Spine CT. Sagittal slice 272/512. 165 mm across the image
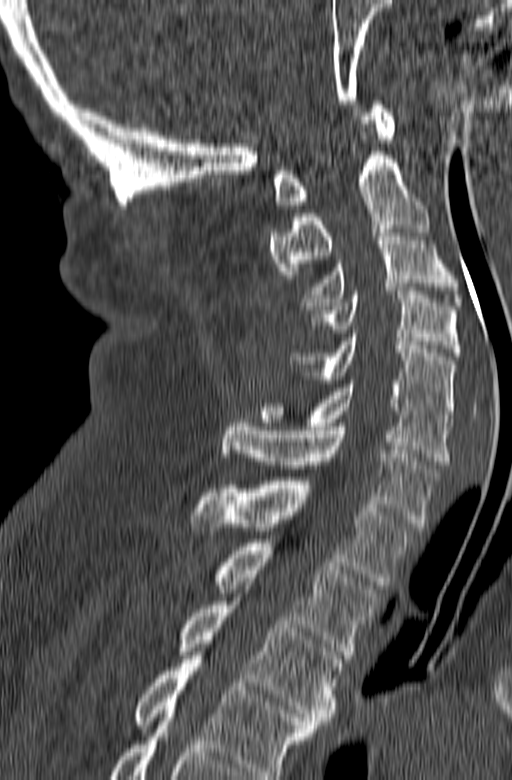 Box edges are left/top/right/bottom in pixels. The highest labeled vertebra in this scan is C1; the lowest is T3. The labeled vertebrae in this slice are: T3 at left=177, top=597, right=344, bottom=728, T2 at left=212, top=539, right=379, bottom=658, T1 at left=187, top=477, right=416, bottom=585, C7 at left=221, top=419, right=438, bottom=527, C6 at left=260, top=380, right=452, bottom=464, C5 at left=290, top=334, right=456, bottom=418, C4 at left=310, top=287, right=461, bottom=356, C3 at left=302, top=229, right=463, bottom=309, C2 at left=269, top=120, right=429, bottom=274, C1 at left=273, top=97, right=394, bottom=205.